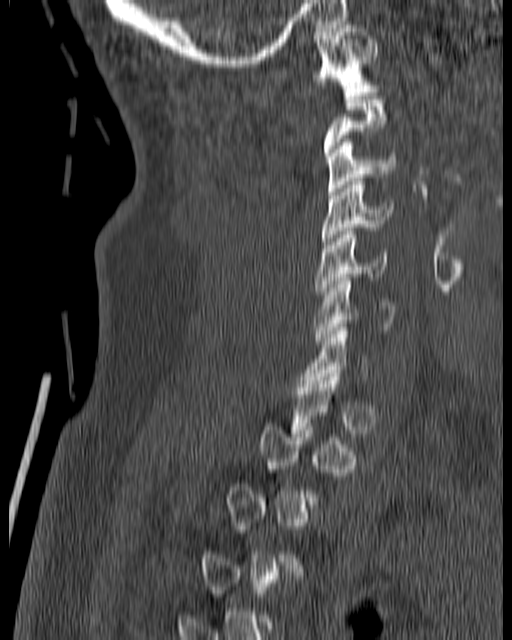
CT · sagittal view
Boxes are (x1, y1, x2, y2) in pixels.
Not every vertebra on this slice has a box: a vertebra is boxed only from the first to the last slice where its cross-section is at least a third of its largest, and this slice is outside that range for at least one of them.
Vertebra bounding boxes:
- C1: (313, 21, 379, 95)
- C3: (326, 139, 395, 195)
- C4: (322, 178, 393, 248)
- C5: (314, 231, 387, 294)
- C6: (314, 277, 395, 344)